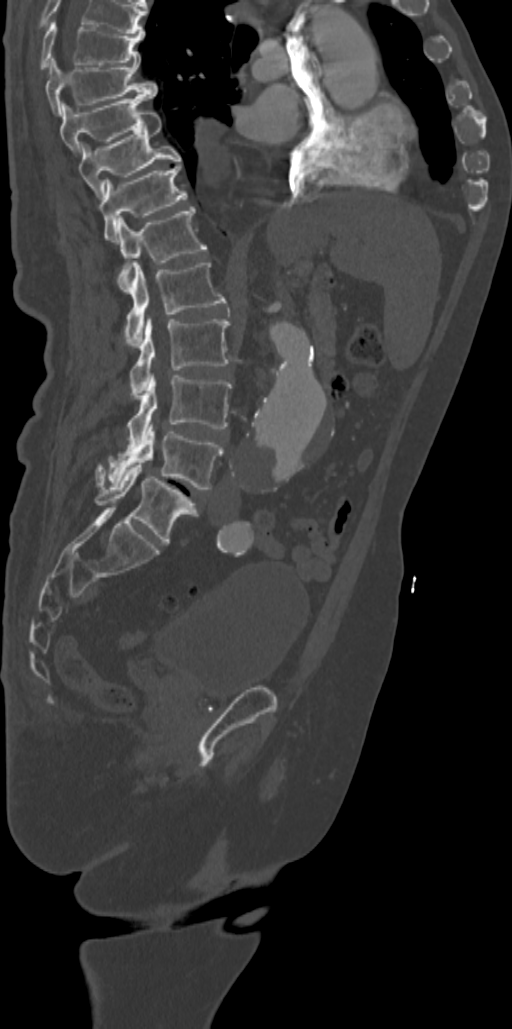
CT spine — sagittal view — bone window
The highest labeled vertebra in this scan is T7; the lowest is L5.
<vertebrae><v name="T7" x1="40" y1="20" x2="144" y2="69"/><v name="T8" x1="45" y1="58" x2="157" y2="114"/><v name="T9" x1="60" y1="94" x2="150" y2="154"/><v name="T10" x1="78" y1="112" x2="182" y2="199"/><v name="T11" x1="99" y1="164" x2="186" y2="242"/><v name="T12" x1="117" y1="207" x2="205" y2="291"/><v name="L1" x1="124" y1="263" x2="226" y2="345"/><v name="L2" x1="130" y1="317" x2="229" y2="399"/><v name="L3" x1="127" y1="373" x2="231" y2="448"/><v name="L4" x1="96" y1="422" x2="223" y2="489"/><v name="L5" x1="96" y1="463" x2="198" y2="543"/></vertebrae>